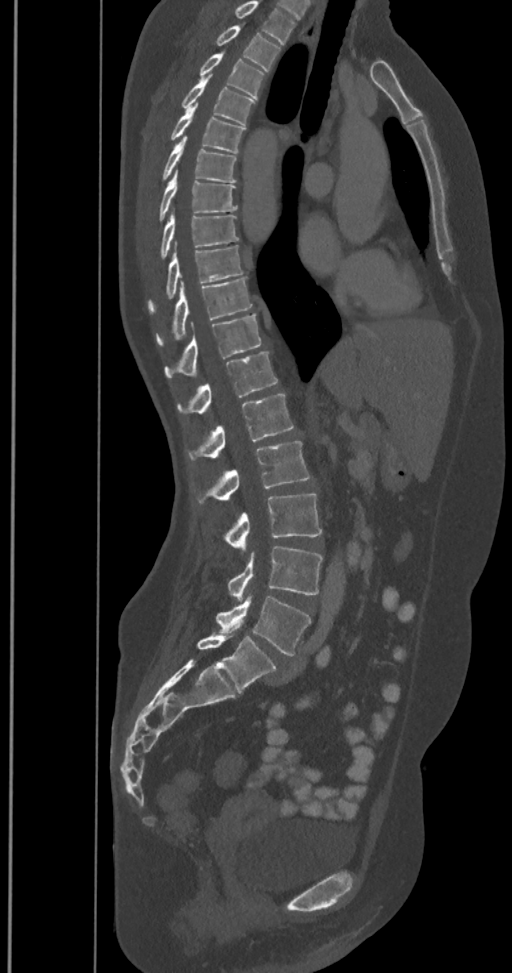

Spine CT · sagittal view · bone-window reconstruction. Boxes: x1 y1 x2 y2 (pixel coords, space-separated).
In this scan, the topmost labeled vertebra is T2 and the lowest is L6.
In these labels the spine has an L6, a sixth lumbar vertebra below L5.
T2: 215 25 280 71
T3: 199 51 264 99
T4: 180 75 255 125
T5: 169 104 245 153
T6: 161 137 236 182
T7: 158 170 237 222
T8: 159 213 239 260
T9: 148 245 243 314
T10: 155 278 252 347
T11: 165 313 261 377
T12: 177 352 277 414
L1: 187 394 294 460
L2: 191 441 310 506
L3: 224 494 322 548
L4: 228 546 322 599
L5: 216 595 312 655
L6: 197 635 275 693